Spine computed tomography · sagittal view · 9 vertebrae labeled in this scan
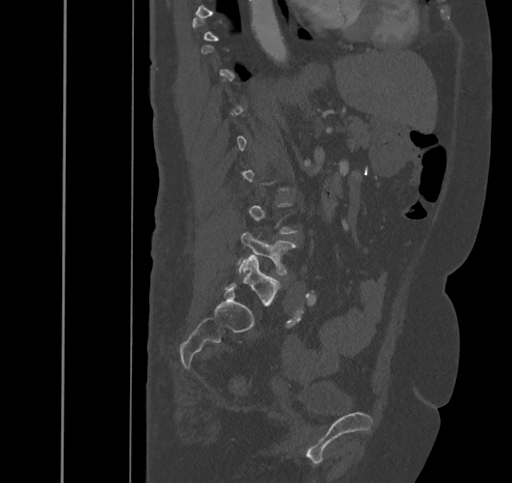
Columns x1, y1, x2, y2 give each box's top-left and bottom-right pixels.
Each vertebra is boxed only on the slices from the first to the last where its cross-section reaches a third of its largest, so a slice outside that range leaves it unboxed.
| vertebra | x1 | y1 | x2 | y2 |
|---|---|---|---|---|
| L5 | 225 | 255 | 280 | 306 |
| L4 | 239 | 232 | 297 | 274 |